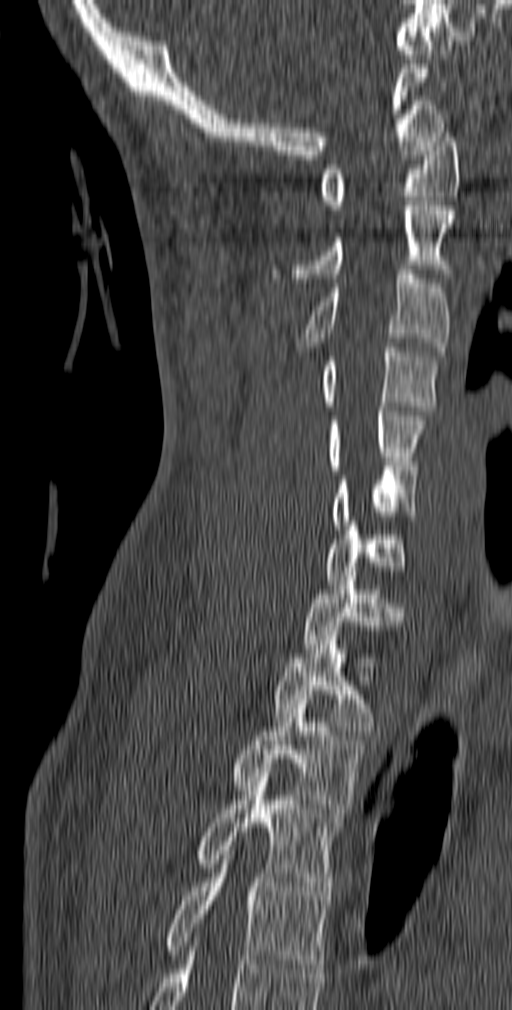
CT spine; sagittal view; the image spans 140 mm across
Each box given as x1,y1,x2,y2.
C1: x1=320, y1=128, x2=459, y2=209
C2: x1=270, y1=201, x2=454, y2=282
C3: x1=297, y1=265, x2=450, y2=356
C4: x1=320, y1=343, x2=439, y2=415
C5: x1=327, y1=407, x2=425, y2=474
C6: x1=330, y1=466, x2=417, y2=529
C7: x1=327, y1=521, x2=406, y2=584
T1: x1=302, y1=576, x2=403, y2=653
T2: x1=272, y1=631, x2=381, y2=735
T3: x1=228, y1=695, x2=364, y2=813
T4: x1=195, y1=773, x2=344, y2=900
T5: x1=162, y1=850, x2=329, y2=973